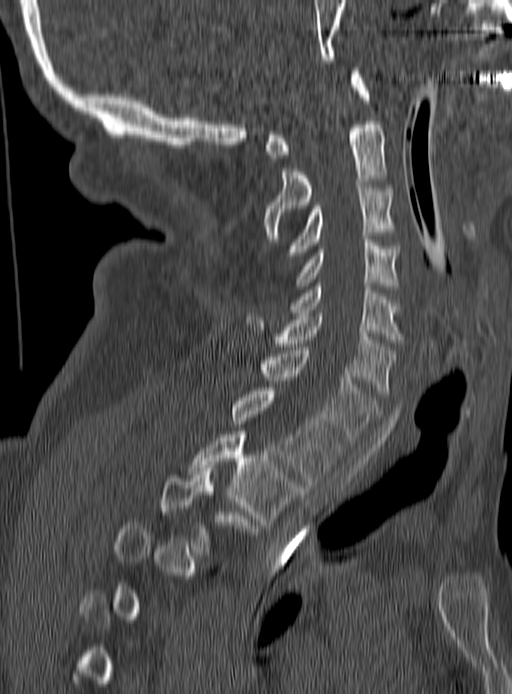

Spine CT — sagittal view
Boxes: x1 y1 x2 y2 (pixel coords, space-separated).
A vertebra is boxed only from the first to the last slice where its cross-section is at least a third of its largest; slices outside that range leave it without a box.
C1: 264 71 369 161
C2: 265 121 385 242
C3: 286 185 393 255
C4: 297 239 399 289
C5: 289 283 401 343
C6: 246 313 396 393
C7: 260 350 377 444
T1: 233 387 342 484
T2: 189 431 302 524
T3: 160 468 259 551